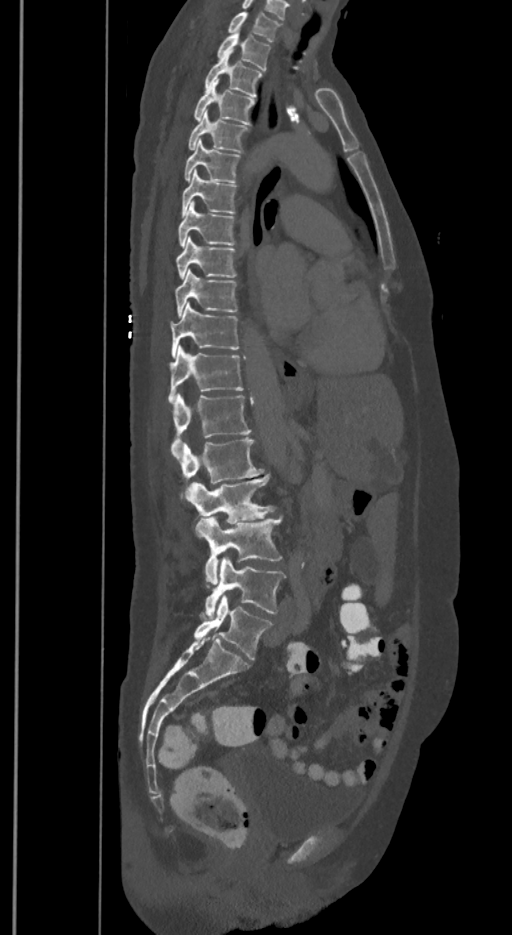
Spine computed tomography. sagittal view. Boxes: x1:y1:x2:y2 in pixels.
The labels name a sixth lumbar vertebra for this spine: L6, after L5.
Vertebra bounding boxes:
- L6: 194:595:272:660
- L5: 205:557:285:616
- L4: 196:516:283:588
- L3: 190:474:275:523
- L2: 180:437:264:501
- L1: 171:395:250:457
- T12: 168:346:243:403
- T11: 171:301:240:357
- T10: 175:270:237:316
- T9: 177:237:237:278
- T8: 178:201:236:247
- T7: 181:170:237:216
- T6: 184:140:240:182
- T5: 188:113:249:153
- T4: 193:80:255:125
- T3: 205:50:262:98
- T2: 216:34:271:69
- T1: 227:12:280:41